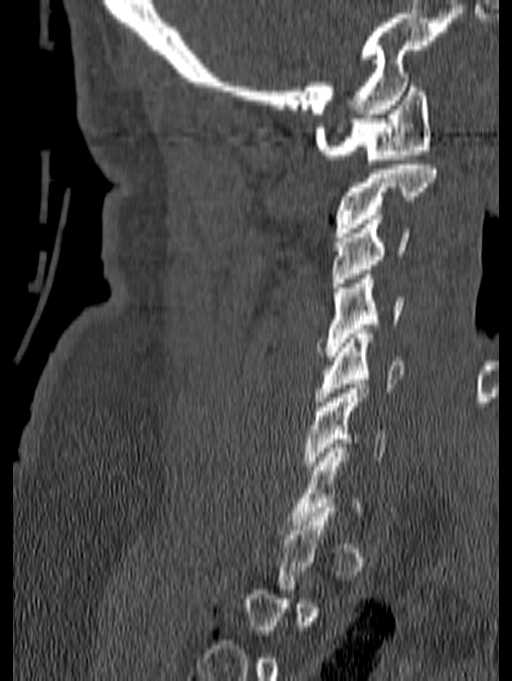 Spine CT; sagittal reformat; bone-window reconstruction; 512x681 px. Each box given as x1,y1,x2,y2.
A vertebra is boxed only from the first to the last slice where its cross-section is at least a third of its largest; slices outside that range leave it without a box.
C1: x1=314, y1=82, x2=432, y2=164
C2: x1=334, y1=165, x2=436, y2=237
C3: x1=331, y1=219, x2=410, y2=287
C4: x1=318, y1=274, x2=403, y2=356
C5: x1=316, y1=329, x2=403, y2=406
C6: x1=305, y1=384, x2=386, y2=470